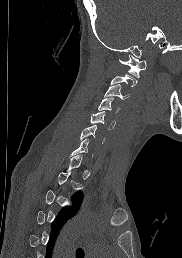
CT spine — sagittal view — bone-window reconstruction — 182x258 px

Not every vertebra on this slice has a box: a vertebra is boxed only from the first to the last slice where its cross-section is at least a third of its largest, and this slice is outside that range for at least one of them.
<vertebrae><v name="C1" x1="118" y1="54" x2="146" y2="77"/><v name="C2" x1="110" y1="74" x2="137" y2="86"/><v name="C3" x1="104" y1="84" x2="129" y2="99"/><v name="C4" x1="98" y1="98" x2="119" y2="112"/><v name="C5" x1="90" y1="111" x2="115" y2="129"/><v name="C6" x1="80" y1="124" x2="105" y2="143"/></vertebrae>